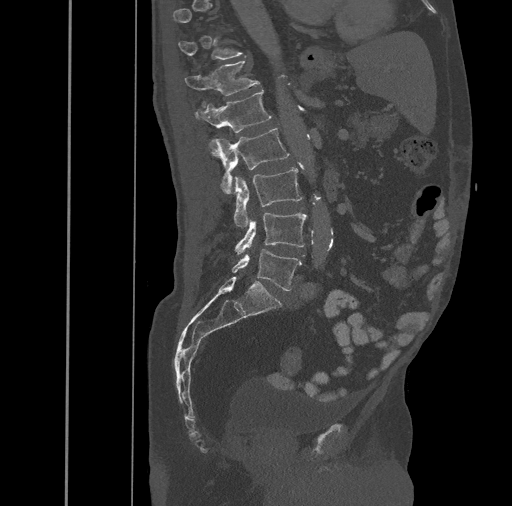
Spine computed tomography — 461 mm wide — sagittal view — Bone window (WL 400, WW 1800). Bounding boxes as [x1, y1, x2, y2] in pixel coordinates.
Each vertebra is boxed only on the slices from the first to the last where its cross-section reaches a third of its largest, so a slice outside that range leaves it unboxed.
T12: [184, 61, 260, 107]
L1: [194, 91, 270, 132]
L2: [208, 128, 289, 193]
L3: [234, 167, 302, 227]
L4: [235, 213, 306, 254]
L5: [232, 249, 302, 291]